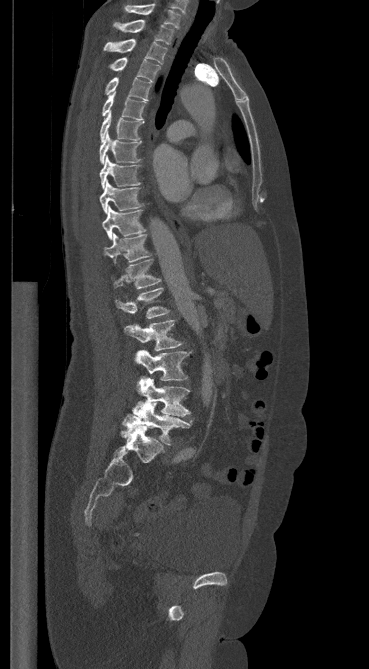 CT spine — sagittal view — the image spans 369 mm across — bone-window reconstruction

Boxes are (x1, y1, x2, y2) in pixels.
Vertebra bounding boxes:
- C7: (125, 4, 180, 28)
- T1: (113, 19, 173, 44)
- T2: (104, 39, 166, 64)
- T3: (110, 57, 160, 81)
- T4: (105, 77, 150, 100)
- T5: (102, 92, 145, 120)
- T6: (100, 111, 144, 141)
- T7: (99, 133, 141, 164)
- T8: (100, 156, 140, 189)
- T9: (99, 180, 141, 213)
- T10: (102, 206, 145, 239)
- T11: (104, 233, 151, 262)
- T12: (113, 259, 160, 288)
- L1: (115, 288, 169, 318)
- L2: (124, 320, 182, 350)
- L3: (134, 350, 190, 380)
- L4: (132, 377, 189, 416)
- L5: (123, 399, 194, 445)